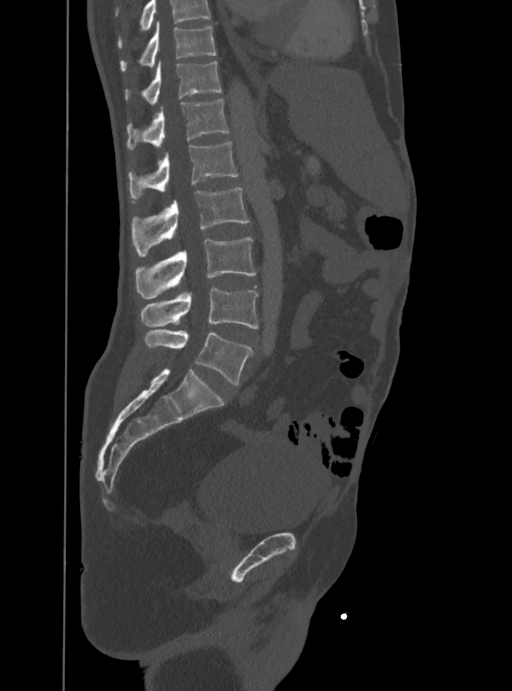
CT spine — sagittal view — bone window — 512x691 px

Boxes are (x1, y1, x2, y2) in pixels.
A vertebra cut off by the top edge of the scan is not labeled and has no box.
T10: (120, 23, 217, 71)
T11: (125, 62, 222, 104)
T12: (127, 99, 228, 150)
L1: (128, 141, 238, 202)
L2: (132, 188, 248, 257)
L3: (136, 238, 256, 298)
L4: (141, 287, 257, 329)
L5: (144, 330, 251, 384)